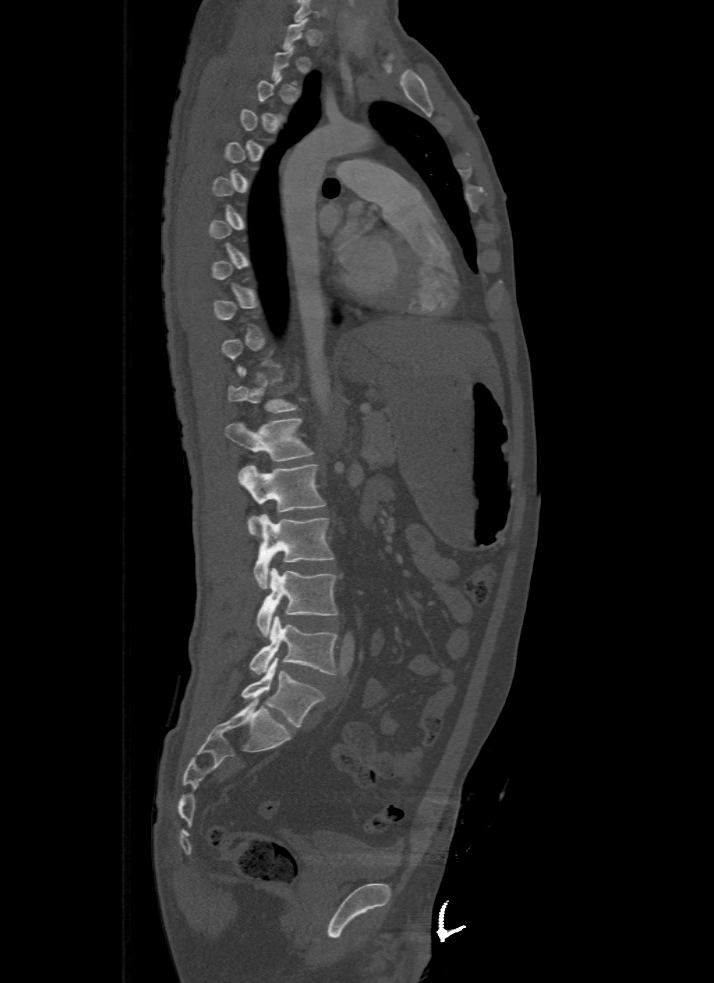 Spine CT. sagittal reformat. bone window. 714x983 px. Bounding boxes as [x1, y1, x2, y2] in pixel coordinates. A vertebra gets a box only on the slices from the first to the last where its cross-section is at least a third of its largest; on a slice outside that range it gets none. Vertebrae labeled: T12 at [225, 418, 313, 461], L1 at [237, 465, 325, 535], L2 at [254, 513, 334, 588], L3 at [255, 568, 338, 637], L4 at [250, 616, 338, 675], L5 at [241, 658, 324, 727].